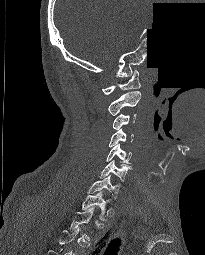
Spine CT · 205 mm image width · sagittal view · part of the scan has been removed (filled with constant black). Boxes are (x1, y1, x2, y2) in pixels.
Not every vertebra on this slice has a box: a vertebra is boxed only from the first to the last slice where its cross-section is at least a third of its largest, and this slice is outside that range for at least one of them.
Vertebra bounding boxes:
- T1: (81, 191, 111, 220)
- C7: (87, 175, 120, 198)
- C6: (99, 160, 132, 181)
- C5: (106, 143, 132, 163)
- C4: (109, 128, 133, 147)
- C3: (113, 113, 136, 129)
- C2: (107, 91, 141, 115)
- C1: (102, 70, 140, 94)